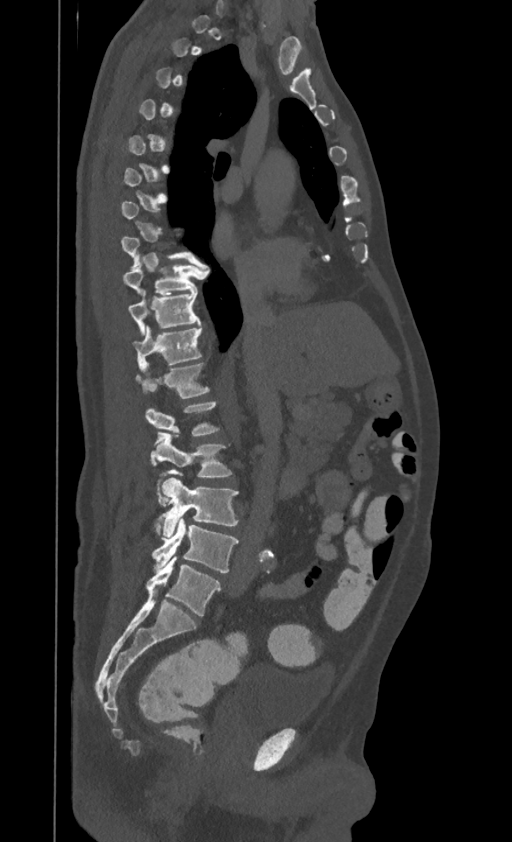 CT, spine · the image is 395 mm wide · sagittal view · W/L 1800/400 HU
Bounding boxes as [x1, y1, x2, y2] in pixel coordinates. Not every vertebra on this slice has a box: a vertebra is boxed only from the first to the last slice where its cross-section is at least a third of its largest, and this slice is outside that range for at least one of them. The highest labeled vertebra in this scan is T1; the lowest is L4. 8 vertebrae labeled — L4 at [152, 517, 237, 572]; L3 at [154, 478, 237, 538]; L2 at [152, 432, 231, 484]; L1 at [146, 401, 218, 435]; T12 at [136, 362, 209, 398]; T11 at [133, 327, 201, 364]; T10 at [128, 289, 200, 335]; T9 at [123, 264, 204, 294].